CT, spine; Sagittal slice 28/67; 123x242 px
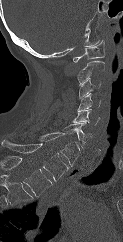

Each row gives a vertebra's box as x1, y1, x2, y2 in pixels: top-left corner, then bottom-right corner.
In this scan, the topmost labeled vertebra is C1 and the lowest is T1.
| vertebra | x1 | y1 | x2 | y2 |
|---|---|---|---|---|
| T1 | 1 | 140 | 68 | 181 |
| C7 | 38 | 133 | 79 | 166 |
| C6 | 50 | 123 | 92 | 147 |
| C5 | 72 | 109 | 100 | 125 |
| C4 | 77 | 93 | 100 | 112 |
| C3 | 79 | 78 | 101 | 98 |
| C2 | 77 | 61 | 104 | 85 |
| C1 | 73 | 40 | 104 | 62 |